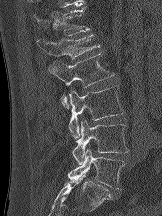
Spine computed tomography; sagittal view
Boxes are (x1, y1, x2, y2) in pixels. Vertebrae labeled: L5 at (68, 149, 124, 189), L4 at (72, 120, 128, 164), L3 at (68, 85, 124, 138), L2 at (49, 52, 114, 108), L1 at (37, 34, 100, 77), T12 at (33, 5, 90, 35).